Spine CT — sagittal view — scan covers 5 annotated vertebrae
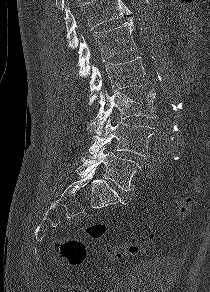
Boxes below are [x1, y1, x2, y2] in pixels.
A vertebra cut off by the top edge of the scan is not labeled and has no box.
{"vertebrae":{"L1":[78,17,136,77],"L2":[89,57,147,104],"L3":[86,89,156,135],"L4":[86,117,156,157],"L5":[77,146,141,190]}}